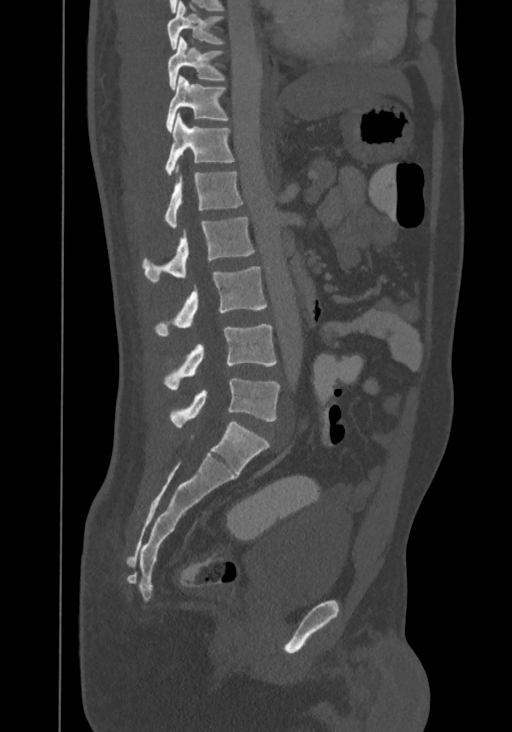
CT, spine — sagittal view
Boxes are (x1, y1, x2, y2) in pixels. The highest labeled vertebra in this scan is T8; the lowest is L4. Vertebrae labeled: T8 at (167, 0, 222, 49), T9 at (167, 36, 225, 89), T10 at (166, 75, 228, 132), T11 at (166, 114, 235, 175), T12 at (164, 166, 243, 228), L1 at (143, 217, 254, 282), L2 at (155, 266, 267, 335), L3 at (164, 324, 276, 389), L4 at (170, 378, 279, 427).